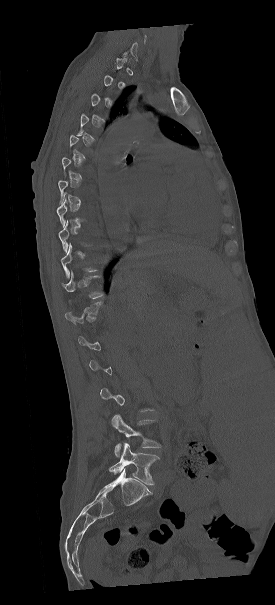

CT · sagittal view · 275x605 px · the image spans 275 mm across. Boxes are given in columns x1, y1, x2, y2, the pixel coordinates of their top-left and bottom-right corners.
Not every vertebra on this slice has a box: a vertebra is boxed only from the first to the last slice where its cross-section is at least a third of its largest, and this slice is outside that range for at least one of them.
| vertebra | x1 | y1 | x2 | y2 |
|---|---|---|---|---|
| T11 | 62 | 271 | 103 | 298 |
| L4 | 111 | 415 | 160 | 456 |
| L5 | 109 | 442 | 159 | 485 |